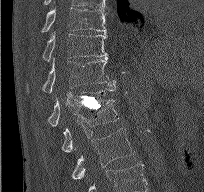

CT spine — sagittal view
Box edges are left/top/right/bottom in pixels. The highest labeled vertebra in this scan is T9; the lowest is L2. 6 vertebrae labeled — L2 at left=71, top=128, right=134, bottom=179; L1 at left=61, top=99, right=118, bottom=152; T12 at left=48, top=87, right=115, bottom=127; T11 at left=26, top=57, right=115, bottom=92; T10 at left=42, top=32, right=107, bottom=61; T9 at left=41, top=7, right=107, bottom=32.